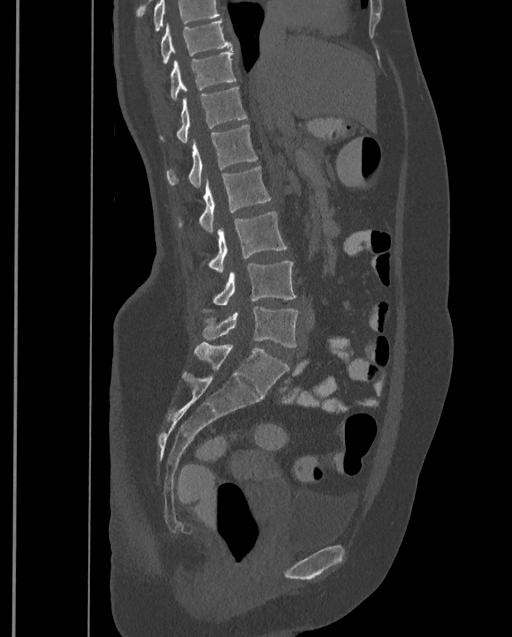
Spine computed tomography. sagittal reformat. 399 mm across the image. 512x637 px
Each box is [x1, y1, x2, y2] in pixels: top-left corner, then bottom-right corner.
Where the top of the scan cuts through a vertebra, that vertebra gets no label or box.
The highest labeled vertebra in this scan is T9; the lowest is L4.
{"vertebrae":{"T9":[160,20,231,65],"T10":[169,50,236,101],"T11":[160,87,247,142],"T12":[165,125,257,187],"L1":[178,166,271,232],"L2":[208,211,286,273],"L3":[202,260,297,312],"L4":[201,306,299,347]}}